Spine computed tomography; sagittal view; bone window; 114x198 px
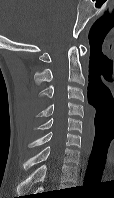
Box values are [left, top, right, bottom] in pixels.
This scan's labels start at C1 at the top and end at C7 at the bottom.
{"vertebrae":{"C1":[39,44,86,62],"C2":[34,46,84,85],"C3":[38,85,84,101],"C4":[36,102,83,117],"C5":[36,117,82,132],"C6":[28,131,80,147],"C7":[23,146,79,169]}}